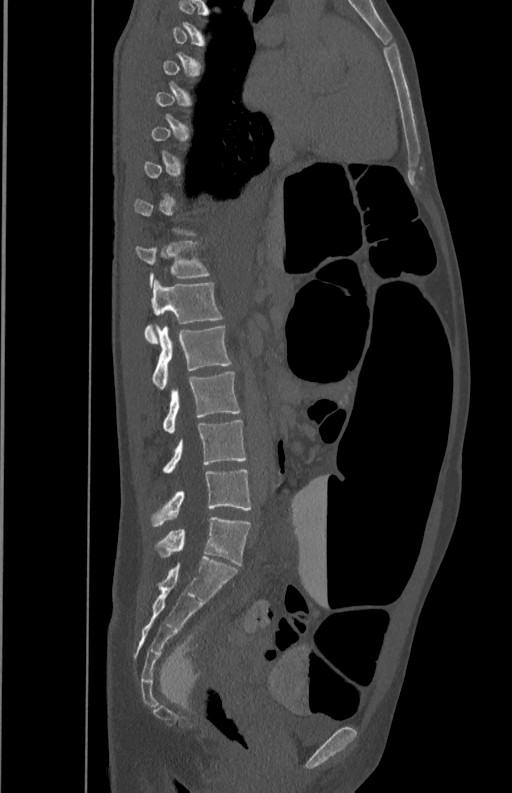 Computed tomography of the spine; sagittal view; 350 mm image width; bone-window reconstruction; 512x793 px
Each box is [x1, y1, x2, y2] in pixels: top-left corner, then bottom-right corner.
Not every vertebra on this slice has a box: a vertebra is boxed only from the first to the last slice where its cross-section is at least a third of its largest, and this slice is outside that range for at least one of them.
{"vertebrae":{"T12":[136,241,209,282],"L1":[145,279,223,343],"L2":[152,324,231,389],"L3":[162,371,240,433],"L4":[162,420,246,473],"L5":[150,469,250,527]}}